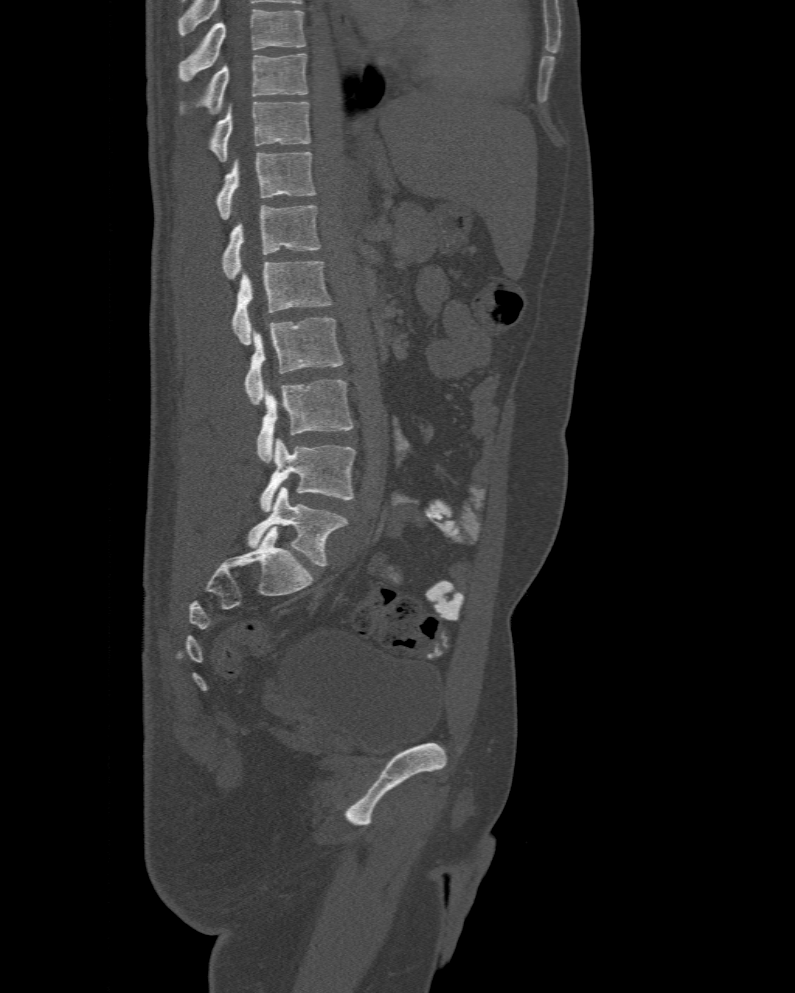
Spine CT; sagittal reformat; bone window; 795x993 px

Boxes: x1:y1:x2:y2 in pixels.
In this scan, the topmost labeled vertebra is T10 and the lowest is L6.
The labels name a sixth lumbar vertebra for this spine: L6, after L5.
L6: 247:487:347:566
L5: 259:438:356:512
L4: 256:380:353:462
L3: 244:317:344:404
L2: 231:262:333:344
L1: 220:205:320:279
T12: 217:152:316:219
T11: 210:102:311:161
T10: 180:53:308:114